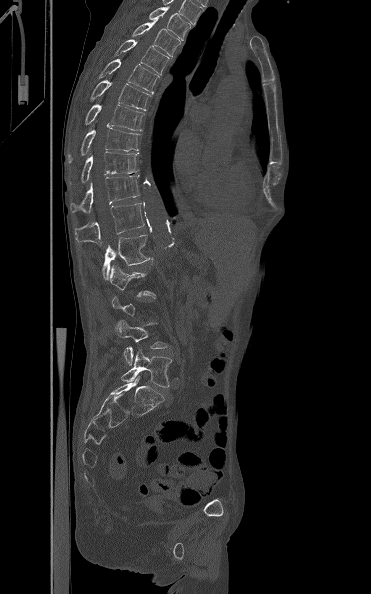
CT · sagittal view · the image spans 371 mm across · W/L 1800/400 HU
A vertebra gets a box only on the slices from the first to the last where its cross-section is at least a third of its largest; on a slice outside that range it gets none.
<vertebrae><v name="T3" x1="148" y1="6" x2="191" y2="40"/><v name="T4" x1="132" y1="20" x2="181" y2="57"/><v name="T5" x1="114" y1="39" x2="169" y2="74"/><v name="T6" x1="98" y1="59" x2="159" y2="93"/><v name="T7" x1="90" y1="80" x2="151" y2="110"/><v name="T8" x1="85" y1="104" x2="144" y2="131"/><v name="T9" x1="68" y1="128" x2="140" y2="162"/><v name="T10" x1="81" y1="151" x2="138" y2="182"/><v name="T11" x1="70" y1="175" x2="140" y2="212"/><v name="T12" x1="75" y1="203" x2="144" y2="245"/><v name="L1" x1="101" y1="229" x2="153" y2="279"/><v name="L4" x1="116" y1="320" x2="168" y2="365"/><v name="L5" x1="121" y1="349" x2="172" y2="387"/></vertebrae>